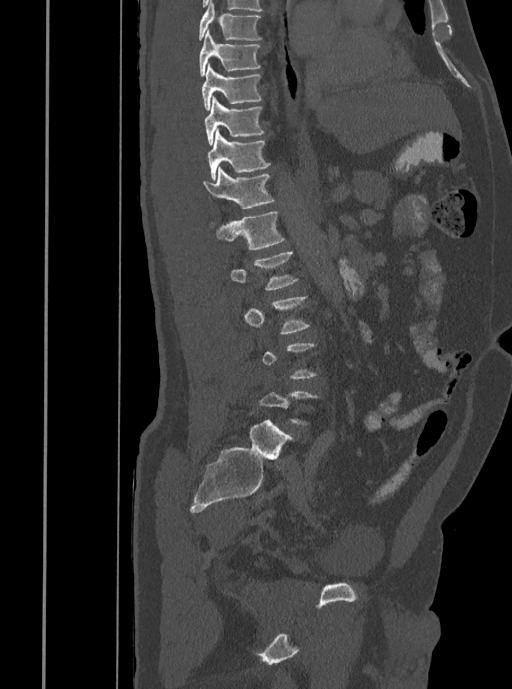
Spine CT — image width 408 mm — sagittal view
Boxes: x1:y1:x2:y2 in pixels. A vertebra gets a box only on the slices from the first to the last where its cross-section is at least a third of its largest; on a slice outside that range it gets none. The labeled vertebrae in this slice are: T7 at 198:0:261:41, T8 at 199:30:261:76, T9 at 202:63:262:110, T10 at 204:96:265:145, T11 at 208:130:270:180, T12 at 203:166:275:209, L1 at 208:211:285:249, L2 at 230:251:299:290, L3 at 243:296:310:334.